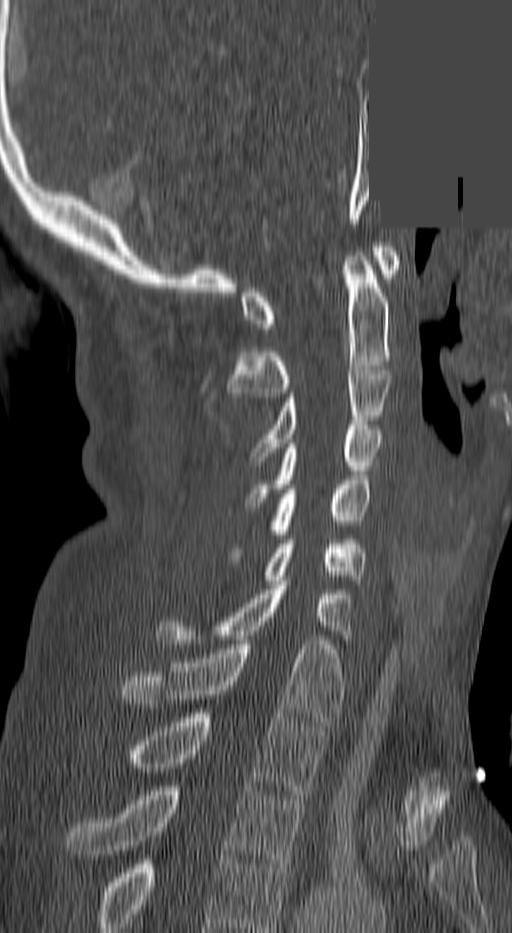

CT spine — sagittal view — image 140 mm wide — Bone window (WL 400, WW 1800) — a region of this slice is masked with a uniform fill. Each row gives a vertebra's box as x1, y1, x2, y2 in pixels: top-left corner, then bottom-right corner.
Labels in this scan begin with C1 at the top and end with T3 at the bottom.
| vertebra | x1 | y1 | x2 | y2 |
|---|---|---|---|---|
| T3 | 67 | 786 | 304 | 868 |
| T2 | 133 | 713 | 323 | 794 |
| T1 | 122 | 640 | 340 | 726 |
| C7 | 155 | 585 | 351 | 648 |
| C6 | 261 | 539 | 365 | 584 |
| C5 | 233 | 480 | 370 | 557 |
| C4 | 247 | 425 | 381 | 502 |
| C3 | 253 | 366 | 392 | 461 |
| C2 | 228 | 251 | 392 | 397 |
| C1 | 239 | 247 | 399 | 328 |